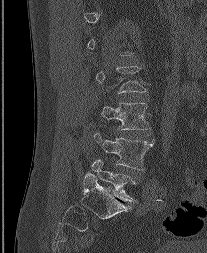
CT, spine — sagittal view

Each row gives a vertebra's box as x1, y1, x2, y2 in pixels: top-left corner, then bottom-right corner.
Not every vertebra on this slice has a box: a vertebra is boxed only from the first to the last slice where its cross-section is at least a third of its largest, and this slice is outside that range for at least one of them.
| vertebra | x1 | y1 | x2 | y2 |
|---|---|---|---|---|
| L3 | 102 | 103 | 150 | 129 |
| L4 | 93 | 133 | 154 | 169 |
| L5 | 92 | 159 | 136 | 201 |